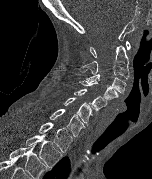

Computed tomography of the spine · sagittal reformat

In the table, x1 and y1 are a box's top-left corner and x2 and y2 its bottom-right corner, in pixels.
Labels in this scan begin with C1 at the top and end with T2 at the bottom.
| vertebra | x1 | y1 | x2 | y2 |
|---|---|---|---|---|
| C1 | 90 | 41 | 130 | 57 |
| C2 | 79 | 45 | 129 | 78 |
| C3 | 85 | 74 | 126 | 93 |
| C4 | 79 | 80 | 118 | 101 |
| C5 | 74 | 89 | 107 | 114 |
| C6 | 64 | 97 | 92 | 125 |
| C7 | 49 | 109 | 85 | 136 |
| T1 | 38 | 122 | 73 | 152 |
| T2 | 25 | 134 | 62 | 168 |